Spine computed tomography. sagittal view. 531x786 px. the image is 478 mm wide. 17 vertebrae labeled in this scan
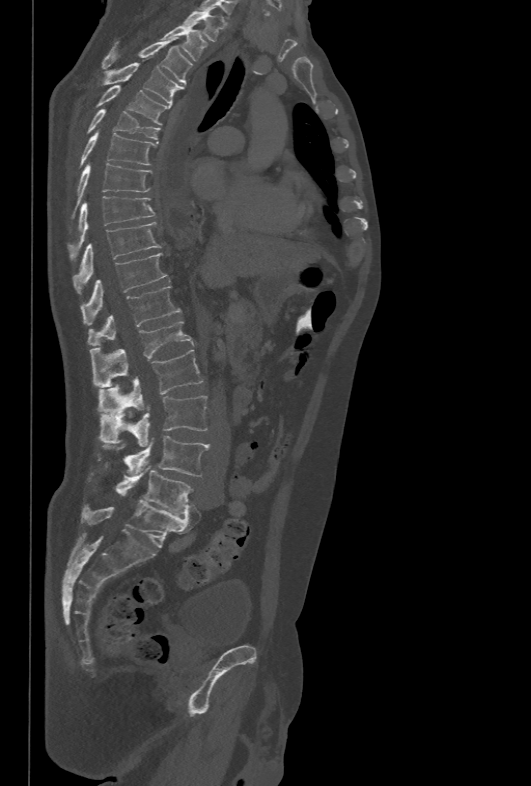

<vertebrae><v name="T1" x1="184" y1="10" x2="222" y2="41"/><v name="T2" x1="161" y1="24" x2="208" y2="61"/><v name="T3" x1="103" y1="36" x2="192" y2="84"/><v name="T4" x1="98" y1="63" x2="184" y2="104"/><v name="T5" x1="96" y1="85" x2="168" y2="124"/><v name="T6" x1="87" y1="108" x2="160" y2="139"/><v name="T7" x1="80" y1="130" x2="156" y2="166"/><v name="T8" x1="73" y1="163" x2="151" y2="216"/><v name="T9" x1="68" y1="196" x2="155" y2="258"/><v name="T10" x1="74" y1="222" x2="161" y2="294"/><v name="T11" x1="81" y1="253" x2="167" y2="324"/><v name="T12" x1="88" y1="286" x2="182" y2="346"/><v name="L1" x1="90" y1="320" x2="193" y2="386"/><v name="L2" x1="99" y1="349" x2="202" y2="415"/><v name="L3" x1="99" y1="396" x2="206" y2="446"/><v name="L4" x1="98" y1="436" x2="209" y2="476"/><v name="L5" x1="89" y1="466" x2="193" y2="515"/></vertebrae>